CT — Sagittal slice 239/512 — W/L 1800/400 HU — scan covers 8 annotated vertebrae
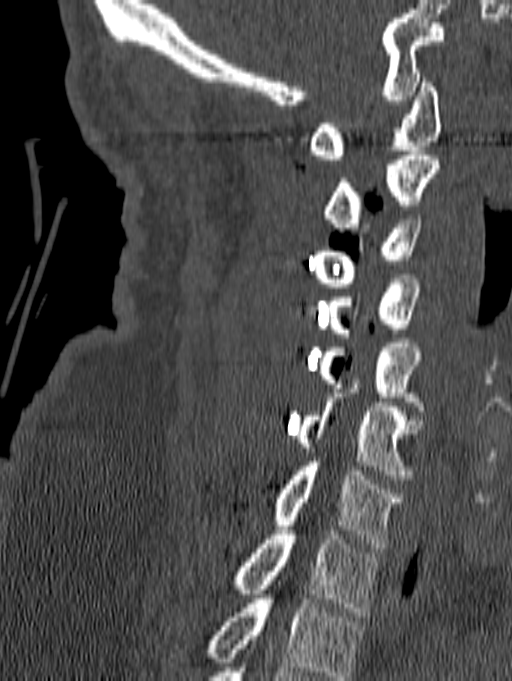

Boxes are (x1, y1, x2, y2) in pixels.
This scan's labels start at C1 at the top and end at T1 at the bottom.
Vertebra bounding boxes:
- T1: (235, 530, 378, 616)
- C7: (276, 457, 403, 548)
- C6: (297, 379, 422, 479)
- C5: (316, 343, 421, 401)
- C4: (327, 279, 421, 337)
- C3: (313, 215, 421, 287)
- C2: (323, 151, 441, 232)
- C1: (308, 78, 441, 159)